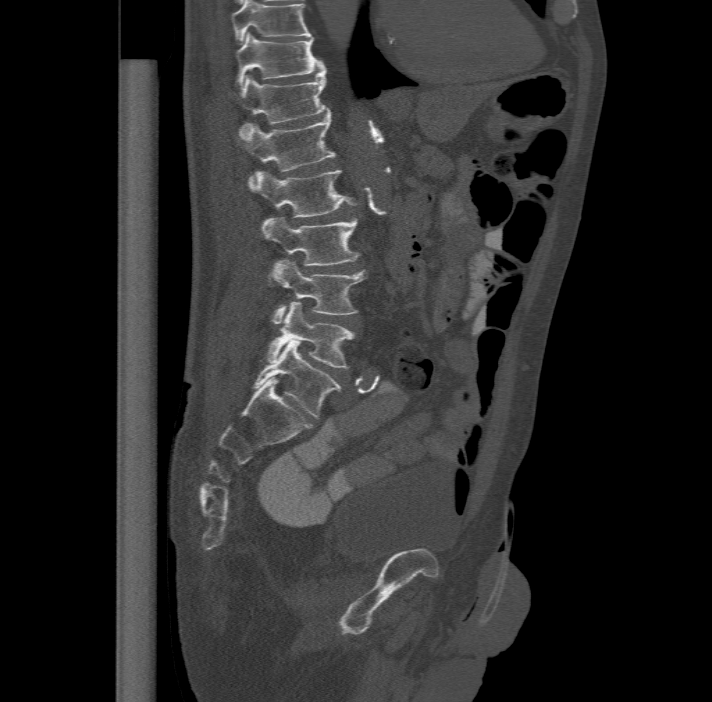

CT — 477 mm wide — sagittal view
Each vertebra maps to its box as [x1, y1, x2, y2], the pixel coordinates of its top-left and bottom-right corners.
Labels in this scan begin with T11 at the top and end with L6 at the bottom.
In these labels the spine has an L6, a sixth lumbar vertebra below L5.
{"vertebrae":{"T11":[236,32,324,87],"T12":[238,67,329,132],"L1":[239,110,334,185],"L2":[252,168,358,217],"L3":[261,216,359,264],"L4":[270,258,366,323],"L5":[267,301,355,368],"L6":[253,340,341,418]}}